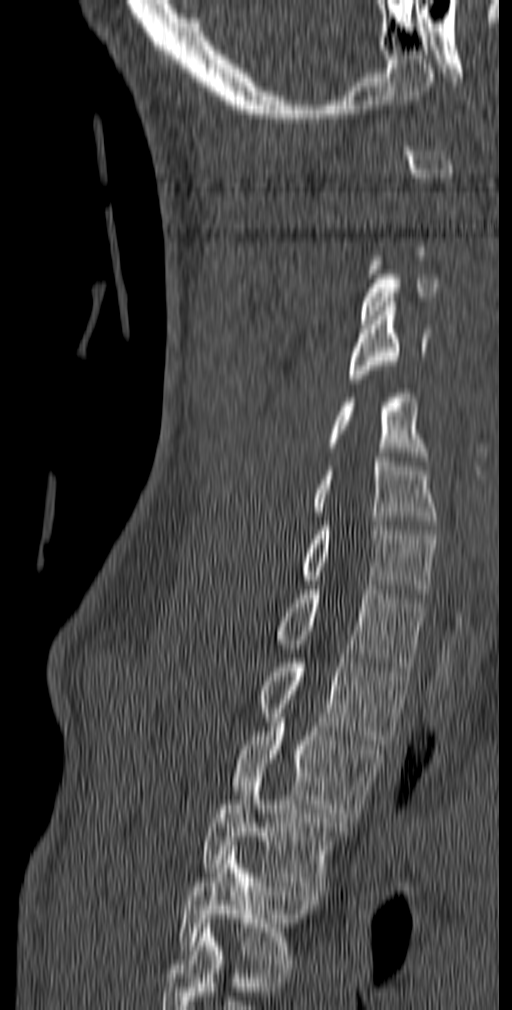 CT spine — sagittal reformat — 512x1010 px
Boxes below are [x1, y1, x2, y2] in pixels.
Each vertebra is boxed only on the slices from the first to the last where its cross-section reaches a third of its largest, so a slice outside that range leaves it unboxed.
The highest labeled vertebra in this scan is C1; the lowest is T5.
{"vertebrae":{"C3":[360,256,439,324],"C4":[349,302,432,383],"C5":[327,389,428,465],"C6":[312,453,436,529],"C7":[301,521,437,598],"T1":[276,585,425,671],"T2":[257,654,410,744],"T3":[232,718,382,822],"T4":[202,773,347,890],"T5":[177,846,318,968]}}